Spine computed tomography. sagittal reformat. part of the image is a flat gray fill, not anatomy
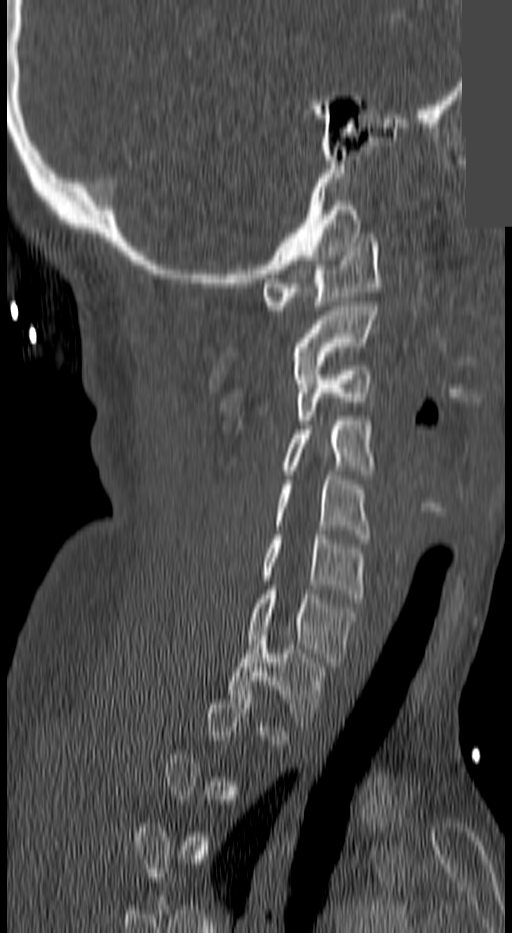

Coordinates as <box>x1,y1,x2,y2</box>.
Each vertebra is boxed only on the slices from the first to the last where its cross-section reaches a third of its largest, so a slice outside that range leaves it unboxed.
C1: <box>265,238,381,310</box>
C2: <box>294,302,377,378</box>
C3: <box>295,366,370,424</box>
C4: <box>283,416,373,474</box>
C5: <box>276,475,370,538</box>
C6: <box>261,535,362,598</box>
C7: <box>246,590,355,666</box>
T1: <box>228,635,322,726</box>